CT spine. sagittal view. 382x541 px
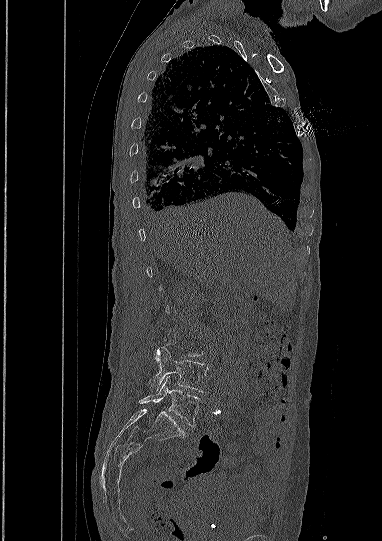
Coordinates as <box>x1,y1,x2,y2</box>.
Not every vertebra on this slice has a box: a vertebra is boxed only from the first to the last slice where its cross-section is at least a third of its largest, and this slice is outside that range for at least one of them.
Vertebra bounding boxes:
- L4: <box>150,347,208,392</box>
- L5: <box>139,376,200,425</box>